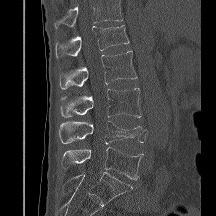
CT spine · sagittal view · 216x216 px

A vertebra cut off by the top edge of the scan is not labeled and has no box.
<vertebrae><v name="L5" x1="61" y1="147" x2="143" y2="179"/><v name="L4" x1="58" y1="121" x2="145" y2="144"/><v name="L3" x1="60" y1="88" x2="141" y2="117"/><v name="L2" x1="60" y1="51" x2="137" y2="89"/><v name="L1" x1="55" y1="25" x2="129" y2="58"/></vertebrae>